CT, spine; Sagittal slice 32/73
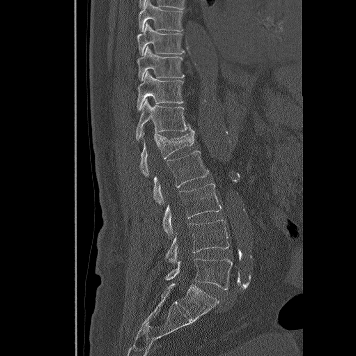

Each box given as x1,y1,x2,y2. Vertebrae labeled: T8 at x1=139, y1=0, x2=182, y2=31, T9 at x1=137, y1=22, x2=185, y2=55, T10 at x1=136, y1=46, x2=185, y2=81, T11 at x1=137, y1=70, x2=183, y2=109, T12 at x1=136, y1=99, x2=194, y2=141, L1 at x1=139, y1=132, x2=194, y2=176, L2 at x1=153, y1=151, x2=208, y2=204, L3 at x1=163, y1=183, x2=221, y2=235, L4 at x1=165, y1=218, x2=229, y2=262, L5 at x1=165, y1=258, x2=232, y2=289.